Spine computed tomography; Sagittal slice 214/512; bone-window reconstruction; 16 vertebrae labeled in this scan
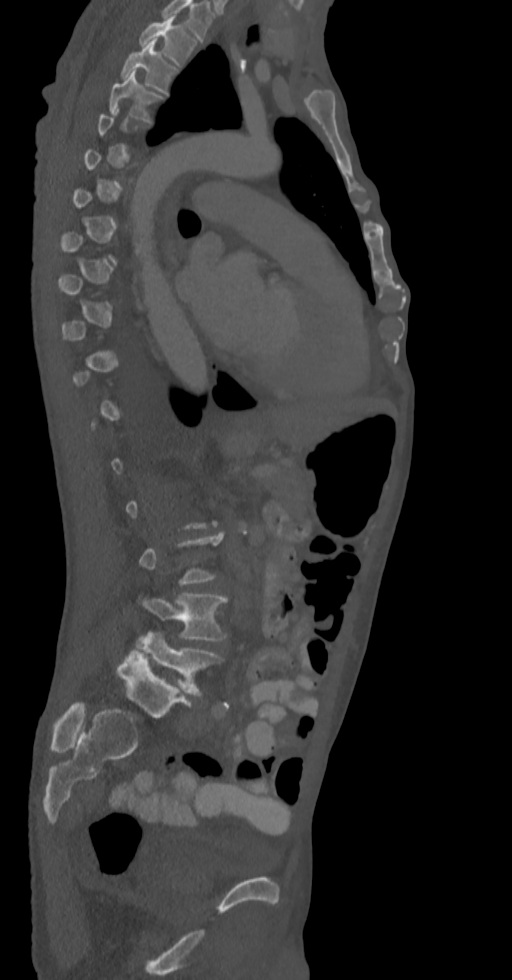 Box values are [left, top, right, bottom] in pixels.
A vertebra is boxed only from the first to the last slice where its cross-section is at least a third of its largest; slices outside that range leave it without a box.
{"vertebrae":{"T2":[140,15,196,66],"T3":[122,41,175,93],"T4":[109,72,162,121],"L4":[144,593,226,641],"L5":[137,631,221,695]}}